CT · Sagittal slice 273/512 · bone-window reconstruction · 512x759 px · scan covers 17 annotated vertebrae
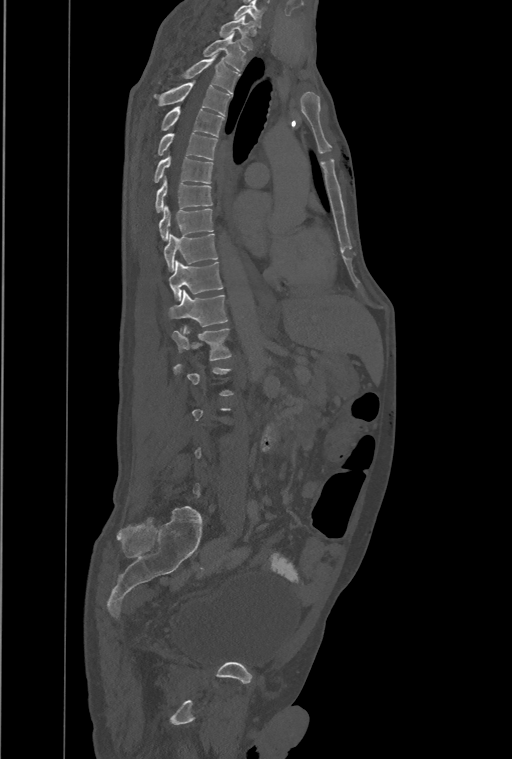 Not every vertebra on this slice has a box: a vertebra is boxed only from the first to the last slice where its cross-section is at least a third of its largest, and this slice is outside that range for at least one of them.
The highest labeled vertebra in this scan is T1; the lowest is L4.
In these labels the spine has a T13, a thirteenth thoracic vertebra, between T12 and L1.
<vertebrae><v name="T1" x1="219" y1="16" x2="253" y2="49"/><v name="T2" x1="203" y1="32" x2="246" y2="70"/><v name="T3" x1="158" y1="56" x2="239" y2="94"/><v name="T4" x1="155" y1="82" x2="231" y2="115"/><v name="T5" x1="162" y1="107" x2="223" y2="136"/><v name="T6" x1="158" y1="132" x2="217" y2="159"/><v name="T7" x1="154" y1="155" x2="213" y2="183"/><v name="T8" x1="155" y1="177" x2="212" y2="211"/><v name="T9" x1="158" y1="205" x2="213" y2="240"/><v name="T10" x1="164" y1="234" x2="217" y2="271"/><v name="T11" x1="168" y1="260" x2="222" y2="300"/><v name="T12" x1="168" y1="290" x2="227" y2="326"/><v name="T13" x1="173" y1="327" x2="231" y2="360"/></vertebrae>